Spine CT — sagittal plane, index 244 — bone window — 526x900 px — 473 mm across the image — a uniform gray block covers part of the image
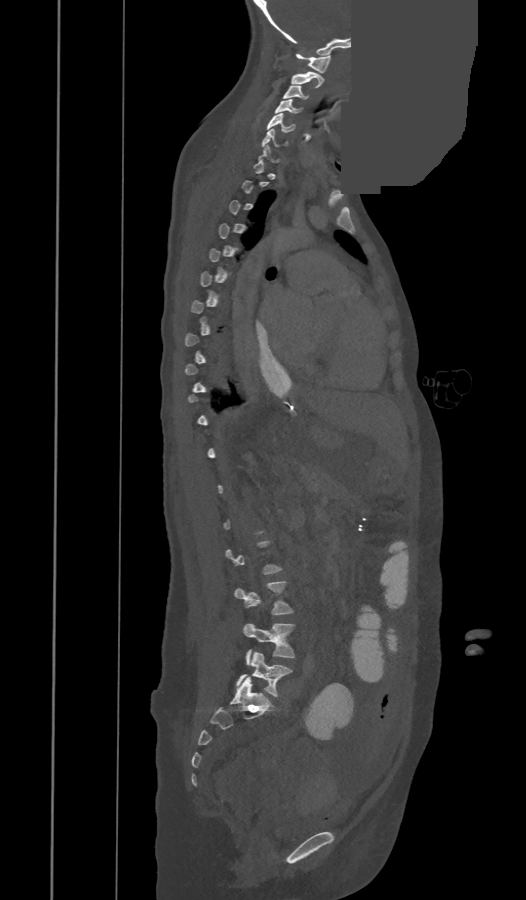 Each box is [x1, y1, x2, y2] in pixels: top-left corner, then bottom-right corner.
A vertebra is boxed only from the first to the last slice where its cross-section is at least a third of its largest; slices outside that range leave it without a box.
{"vertebrae":{"C1":[296,54,331,73],"C2":[290,71,323,88],"C3":[283,86,307,99],"C4":[275,99,301,114],"C5":[267,113,295,132],"C6":[262,129,286,146],"L3":[234,581,293,615],"L4":[243,623,294,664],"L5":[237,652,292,696]}}